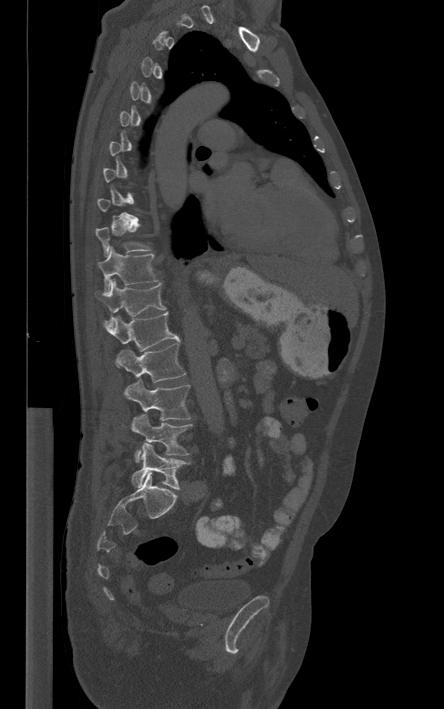
Computed tomography of the spine. 444 mm across the image. sagittal view. 444x709 px
Box values are [left, top, right, bottom] in pixels.
A vertebra is boxed only from the first to the last slice where its cross-section is at least a third of its largest; slices outside that range leave it without a box.
{"vertebrae":{"L5":[131,443,186,489],"L4":[131,414,192,462],"L3":[124,379,190,420],"L2":[116,343,185,382],"L1":[104,312,180,362],"T12":[95,278,165,328],"T11":[98,247,158,293],"T10":[96,223,150,256]}}